Spine CT. sagittal reformat. 768x1218 px. scan covers 6 annotated vertebrae. 210 mm wide
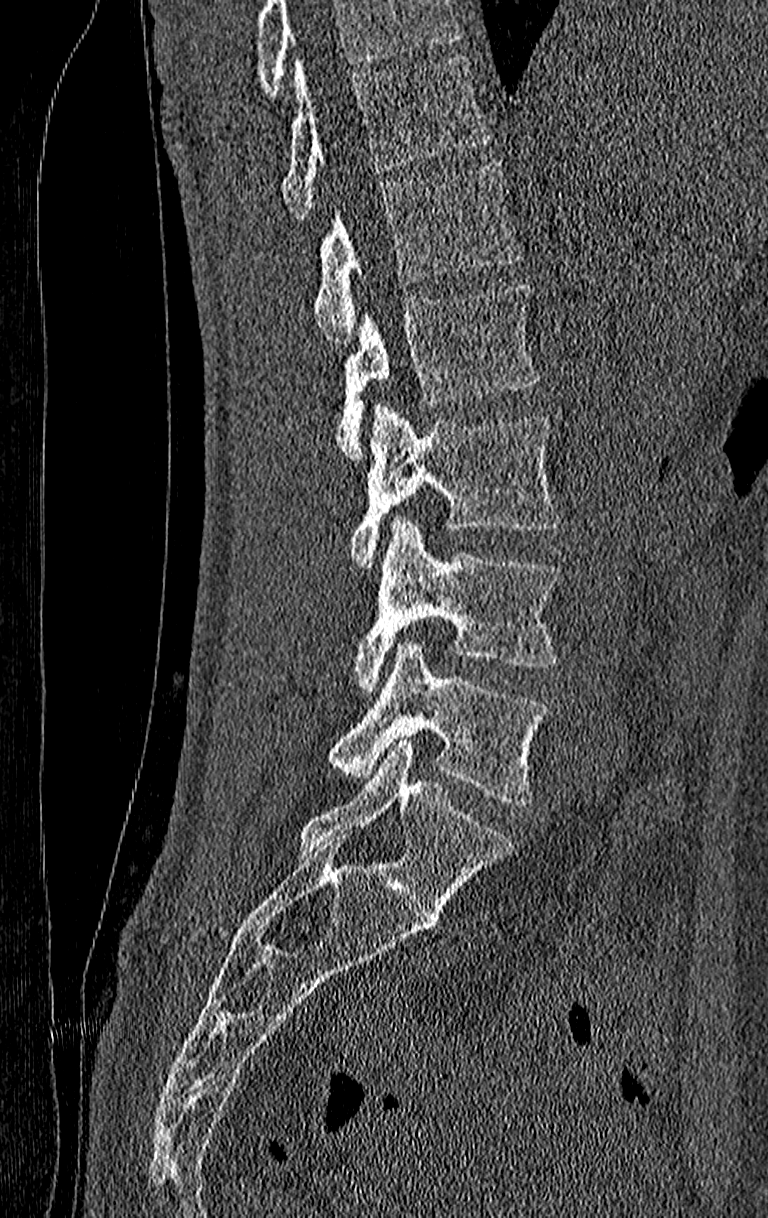

Each box given as x1,y1,x2,y2. A vertebra cut off by the top edge of the scan is not labeled and has no box. The highest labeled vertebra in this scan is T11; the lowest is L4. 6 vertebrae labeled — T11 at x1=280, y1=56, x2=491, y2=220; T12 at x1=313, y1=161, x2=521, y2=343; L1 at x1=338, y1=283, x2=543, y2=461; L2 at x1=350, y1=406, x2=561, y2=570; L3 at x1=353, y1=517, x2=561, y2=695; L4 at x1=328, y1=640, x2=550, y2=804.